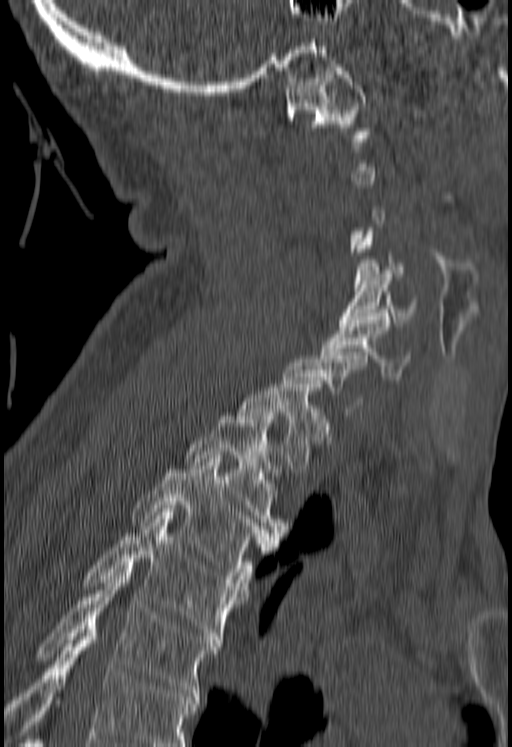 CT, spine · sagittal view · Bone window (WL 400, WW 1800) · 512x747 px
Each box is [x1, y1, x2, y2] in pixels: top-left corner, then bottom-right corner.
Each vertebra is boxed only on the slices from the first to the last where its cross-section reaches a third of its largest, so a slice outside that range leaves it unboxed.
Vertebrae that run past the bottom of the scan are left unlabeled.
{"vertebrae":{"C1":[284,68,370,141],"C5":[338,270,419,326],"C6":[322,316,409,379],"T1":[238,384,328,472],"T2":[185,412,284,539],"T3":[132,459,276,582],"T4":[83,512,245,643],"T5":[36,569,219,696]}}